Spine CT — image 350 mm wide — Sagittal slice 201/350
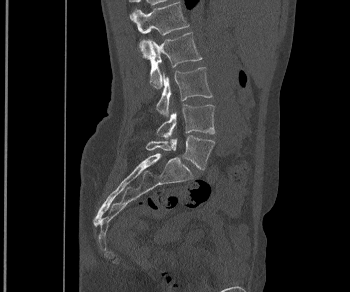 Coordinates as <box>x1,y1,x2,y2</box>.
L1: <box>133,2,189,57</box>
L2: <box>148,32,202,88</box>
L3: <box>156,67,212,116</box>
L4: <box>156,104,215,138</box>
L5: <box>146,135,214,169</box>